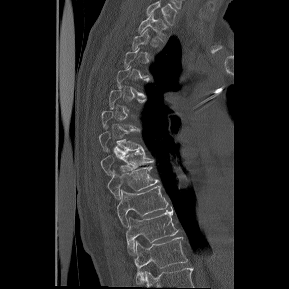
CT, spine; sagittal view; bone-window reconstruction
Each row gives a vertebra's box as x1, y1, x2, y2 in pixels: top-left corner, then bottom-right corner.
Not every vertebra on this slice has a box: a vertebra is boxed only from the first to the last slice where its cross-section is at least a third of its largest, and this slice is outside that range for at least one of them.
The highest labeled vertebra in this scan is T1; the lowest is T12.
| vertebra | x1 | y1 | x2 | y2 |
|---|---|---|---|---|
| T1 | 137 | 13 | 167 | 40 |
| T7 | 99 | 132 | 143 | 150 |
| T8 | 100 | 150 | 153 | 175 |
| T9 | 107 | 166 | 158 | 199 |
| T10 | 117 | 185 | 168 | 227 |
| T11 | 126 | 207 | 179 | 254 |
| T12 | 134 | 237 | 188 | 282 |